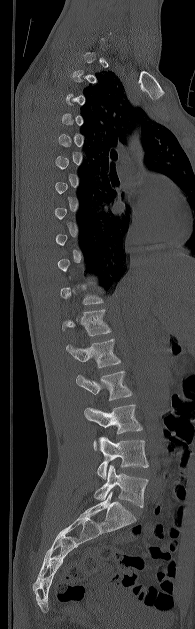

CT, spine. sagittal view. Bone window (WL 400, WW 1800). image width 195 mm. 195x629 px
Each vertebra maps to its box as [x1, y1, x2, y2], the pixel coordinates of its top-left and bottom-right corners.
A vertebra gets a box only on the slices from the first to the last where its cross-section is at least a third of its largest; on a slice outside that range it gets none.
{"vertebrae":{"L5":[94,465,148,507],"L4":[93,436,148,480],"L3":[84,404,142,434],"L2":[76,371,132,400],"L1":[66,338,121,368],"T12":[62,309,111,336],"T11":[60,282,103,304]}}